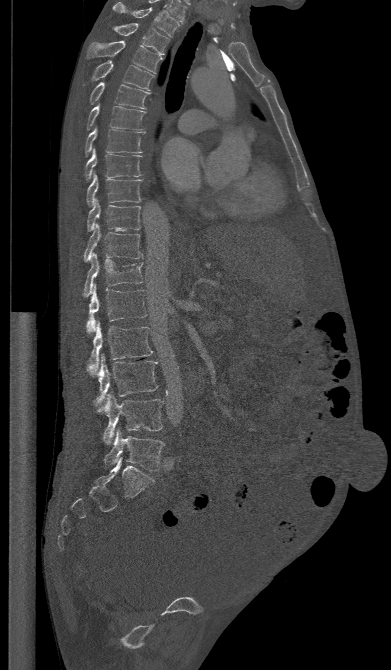 CT · sagittal view
Boxes: x1 y1 x2 y2 (pixel coords, space-separated).
Vertebra bounding boxes:
- L5: 104 428 164 471
- L4: 95 393 163 445
- L3: 94 355 158 407
- L2: 88 322 152 375
- L1: 86 285 146 333
- T12: 83 253 143 296
- T11: 83 224 142 261
- T10: 87 199 140 231
- T9: 86 174 141 206
- T8: 85 149 142 181
- T7: 84 128 144 156
- T6: 86 105 145 130
- T5: 89 82 150 109
- T4: 91 60 153 90
- T3: 86 40 161 73
- T2: 112 23 169 55
- T1: 112 2 179 37